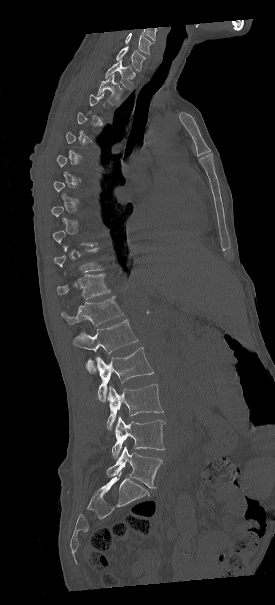 Computed tomography of the spine · the image is 275 mm wide · sagittal view · bone window
In the table, x1 and y1 are a box's top-left corner and x2 and y2 its bottom-right corner, in pixels.
A vertebra gets a box only on the slices from the first to the last where its cross-section is at least a third of its largest; on a slice outside that range it gets none.
Labels in this scan begin with C7 at the top and end with L5 at the bottom.
| vertebra | x1 | y1 | x2 | y2 |
|---|---|---|---|---|
| C7 | 115 | 46 | 145 | 71 |
| T1 | 105 | 60 | 135 | 89 |
| T2 | 97 | 74 | 123 | 105 |
| T10 | 54 | 248 | 105 | 276 |
| T11 | 57 | 274 | 110 | 299 |
| T12 | 61 | 296 | 123 | 326 |
| L1 | 73 | 319 | 137 | 372 |
| L2 | 95 | 347 | 154 | 402 |
| L3 | 106 | 384 | 163 | 430 |
| L4 | 111 | 416 | 165 | 458 |
| L5 | 107 | 446 | 162 | 488 |